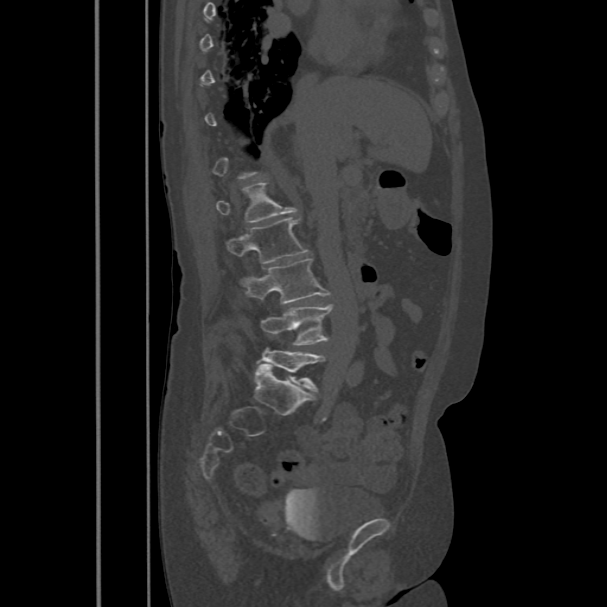

Spine computed tomography. sagittal reformat. bone window

Each box given as x1,y1,x2,y2.
Each vertebra is boxed only on the slices from the first to the last where its cross-section reaches a third of its largest, so a slice outside that range leaves it unboxed.
Vertebra bounding boxes:
- L1: x1=216, y1=182, x2=297, y2=222
- L2: x1=228, y1=217, x2=307, y2=264
- L3: x1=243, y1=258, x2=329, y2=304
- L4: x1=260, y1=305, x2=332, y2=345
- L5: x1=256, y1=348, x2=325, y2=391